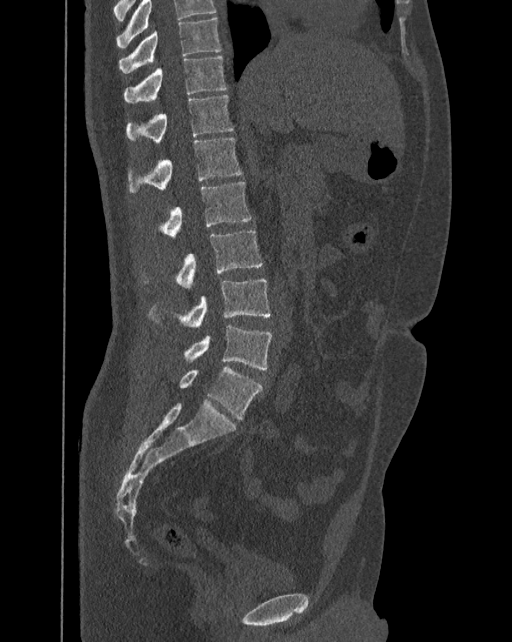 Spine computed tomography — sagittal view
Each vertebra maps to its box as [x1, y1, x2, y2], the pixel coordinates of its top-left and bottom-right corners.
This scan's labels start at T10 at the top and end at L6 at the bottom.
The labels name a sixth lumbar vertebra for this spine: L6, after L5.
{"vertebrae":{"T10":[119,18,221,73],"T11":[124,55,226,102],"T12":[127,94,233,144],"L1":[128,138,242,193],"L2":[158,182,251,238],"L3":[142,230,263,288],"L4":[147,279,271,327],"L5":[184,324,272,369],"L6":[179,367,261,419]}}